CT; sagittal reformat; Bone window (WL 400, WW 1800); 650x407 px; 390 mm across the image; 9 vertebrae labeled in this scan; a uniform gray block covers part of the image
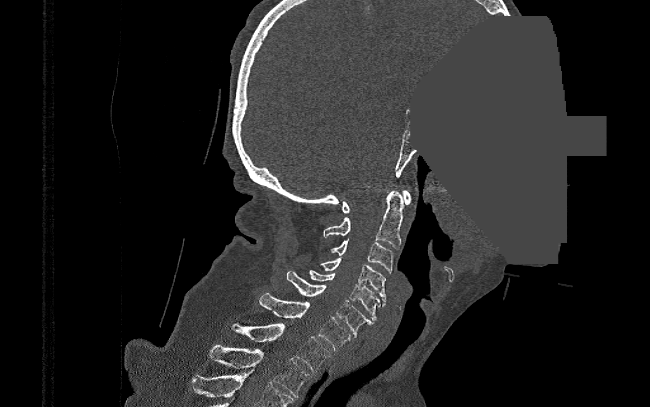

Coordinates as <box>x1,y1,x2,y2</box>. The labeled vertebrae in this slice are: T2 at <box>208,346,311,397</box>, T1 at <box>231,322,330,371</box>, C7 at <box>260,292,351,350</box>, C6 at <box>287,271,374,337</box>, C5 at <box>309,270,380,320</box>, C4 at <box>320,258,386,306</box>, C3 at <box>329,239,393,273</box>, C2 at <box>324,191,403,248</box>, C1 at <box>342,190,410,213</box>.